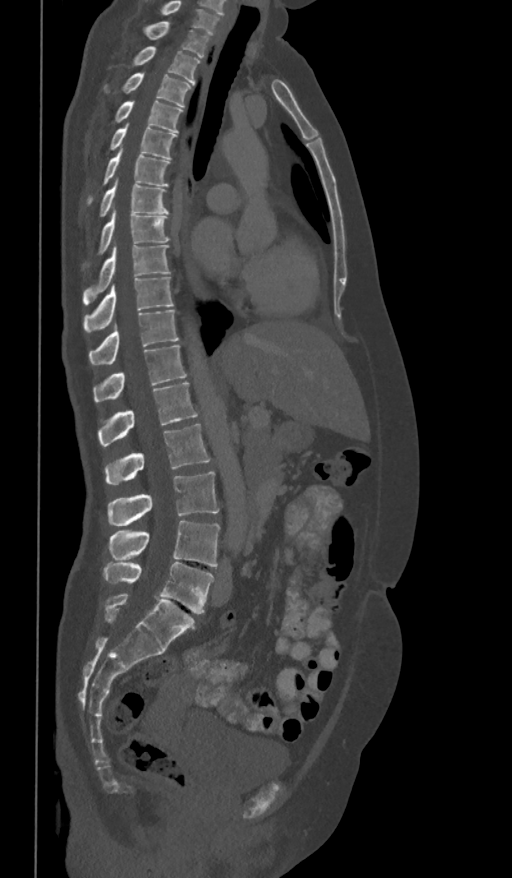

Spine computed tomography; sagittal reformat; W/L 1800/400 HU
The highest labeled vertebra in this scan is T1; the lowest is L5.
<vertebrae><v name="T1" x1="146" y1="22" x2="210" y2="58"/><v name="T2" x1="133" y1="46" x2="200" y2="85"/><v name="T3" x1="123" y1="73" x2="192" y2="106"/><v name="T4" x1="115" y1="101" x2="182" y2="133"/><v name="T5" x1="109" y1="123" x2="176" y2="159"/><v name="T6" x1="89" y1="148" x2="169" y2="202"/><v name="T7" x1="100" y1="177" x2="168" y2="216"/><v name="T8" x1="99" y1="208" x2="169" y2="253"/><v name="T9" x1="82" y1="244" x2="170" y2="304"/><v name="T10" x1="83" y1="277" x2="173" y2="332"/><v name="T11" x1="89" y1="310" x2="179" y2="364"/><v name="T12" x1="93" y1="345" x2="186" y2="402"/><v name="L1" x1="98" y1="382" x2="197" y2="446"/><v name="L2" x1="105" y1="423" x2="210" y2="484"/><v name="L3" x1="108" y1="471" x2="219" y2="526"/><v name="L4" x1="109" y1="521" x2="220" y2="567"/><v name="L5" x1="103" y1="562" x2="213" y2="613"/></vertebrae>